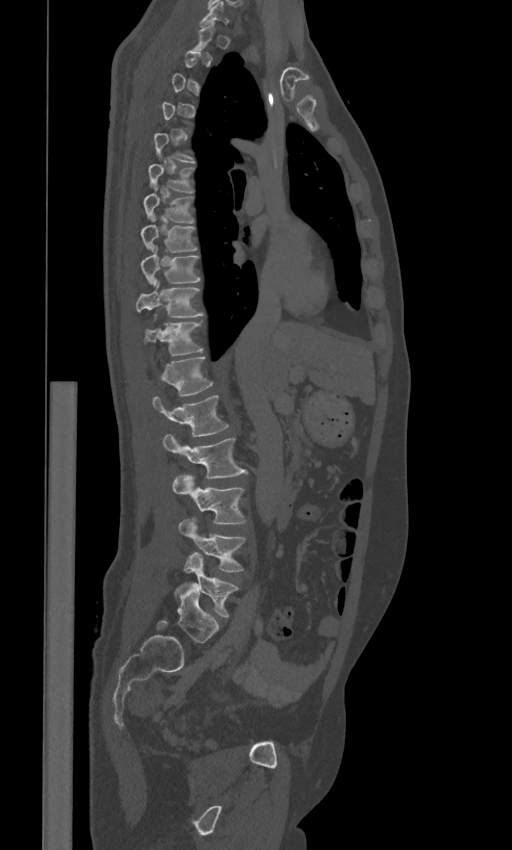 CT, spine · sagittal view · Bone window (WL 400, WW 1800) · 512x850 px · the image is 443 mm wide
Boxes: x1 y1 x2 y2 (pixel coords, space-separated).
A vertebra gets a box only on the slices from the first to the last where its cross-section is at least a third of its largest; on a slice outside that range it gets none.
These labels give the spine a sixth lumbar vertebra, L6, below L5.
Vertebra bounding boxes:
- T6: 148 163 193 192
- T7: 143 193 193 223
- T8: 140 218 197 253
- T9: 140 248 200 284
- T10: 135 283 202 317
- T11: 146 321 202 356
- T12: 162 357 213 395
- L1: 152 395 228 436
- L2: 163 434 246 477
- L3: 172 474 245 524
- L4: 178 519 244 571
- L5: 175 552 237 617
- L6: 175 583 217 642